CT. sagittal view. 391x670 px
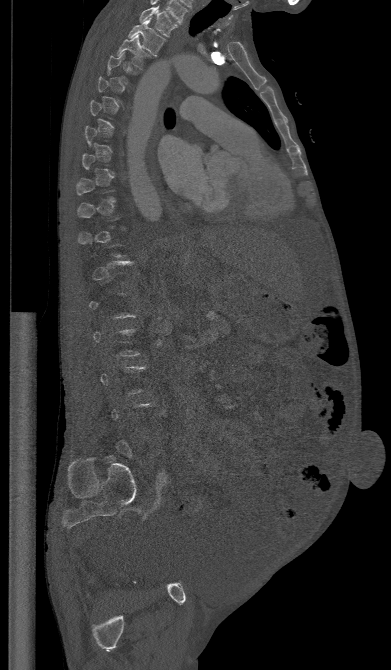

Box edges are left/top/right/bottom in pixels.
Each vertebra is boxed only on the slices from the first to the last where its cross-section reaches a third of its largest, so a slice outside that range leaves it unboxed.
T1: left=139, top=6, right=177, bottom=37
T2: left=128, top=18, right=165, bottom=56
T3: left=116, top=34, right=153, bottom=68